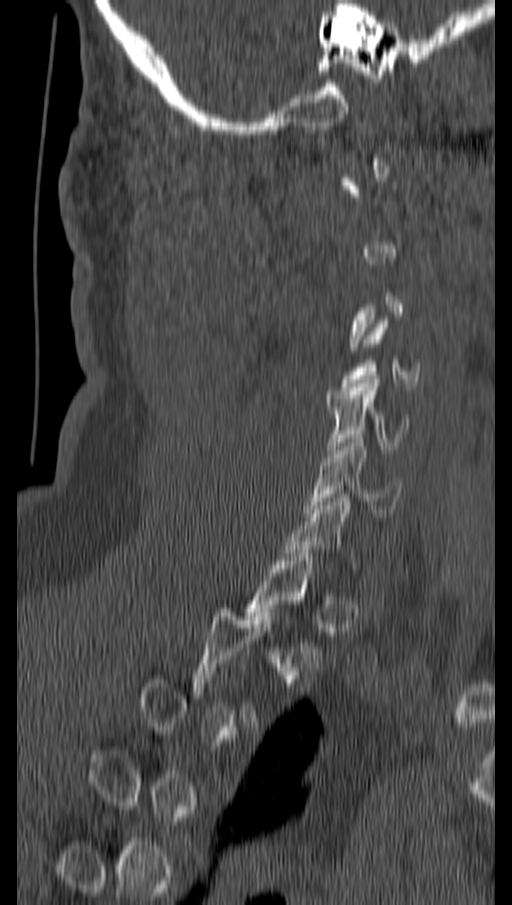
CT, spine; sagittal view; bone-window reconstruction
A vertebra gets a box only on the slices from the first to the last where its cross-section is at least a third of its largest; on a slice outside that range it gets none.
<vertebrae><v name="C6" x1="305" y1="435" x2="402" y2="513"/><v name="C5" x1="327" y1="379" x2="407" y2="453"/></vertebrae>